Computed tomography of the spine. Sagittal slice 244/512. Bone window (WL 400, WW 1800). the image spans 350 mm across. 512x935 px. scan covers 18 annotated vertebrae
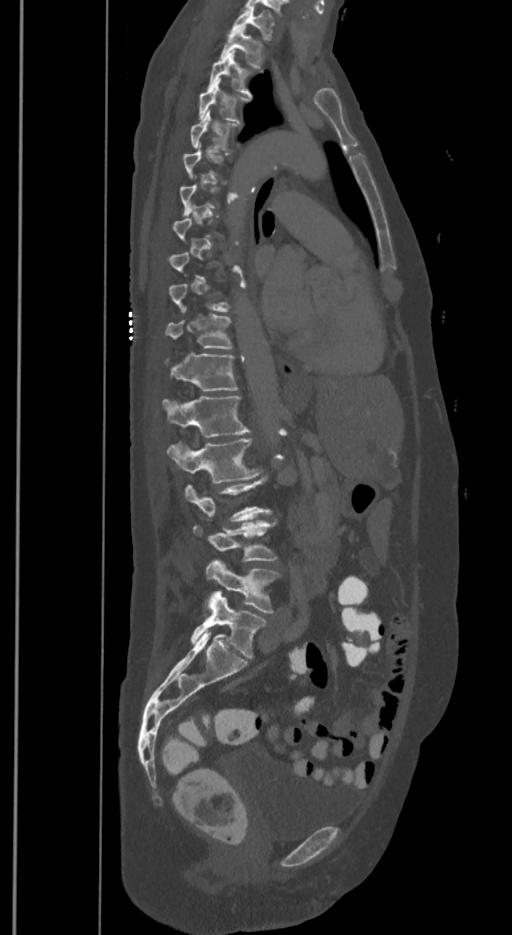

Each box given as x1,y1,x2,y2.
A vertebra gets a box only on the slices from the first to the last where its cross-section is at least a third of its largest; on a slice outside that range it gets none.
In these labels the spine has an L6, a sixth lumbar vertebra below L5.
L6: x1=191, y1=591, x2=266, y2=657
L5: x1=206, y1=560, x2=280, y2=613
L4: x1=193, y1=521, x2=277, y2=561
L3: x1=186, y1=477, x2=272, y2=522
L2: x1=168, y1=438, x2=259, y2=483
L1: x1=162, y1=396, x2=249, y2=436
T12: x1=165, y1=353, x2=237, y2=391
T11: x1=167, y1=315, x2=233, y2=349
T5: x1=190, y1=109, x2=239, y2=150
T4: x1=199, y1=79, x2=249, y2=121
T3: x1=209, y1=50, x2=253, y2=95
T2: x1=221, y1=26, x2=264, y2=69
T1: x1=232, y1=7, x2=274, y2=40